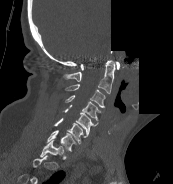
Spine CT; sagittal view; 173x184 px; image width 173 mm; part of the image has been replaced by a constant value
Boxes are (x1, y1, x2, y2) in pixels.
In this scan, the topmost labeled vertebra is C1 and the lowest is T1.
Vertebra bounding boxes:
- C1: (80, 61, 120, 70)
- C2: (63, 60, 115, 93)
- C3: (65, 84, 105, 107)
- C4: (65, 95, 100, 120)
- C5: (62, 104, 98, 133)
- C6: (54, 118, 88, 143)
- C7: (47, 130, 76, 151)
- T1: (40, 140, 63, 157)